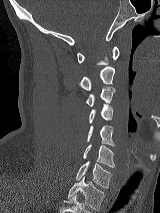
CT — sagittal view. Boxes are (x1, y1, x2, y2) in pixels.
Vertebra bounding boxes:
- C1: (77, 46, 119, 65)
- C2: (80, 66, 114, 90)
- C3: (86, 87, 115, 106)
- C4: (88, 104, 113, 123)
- C5: (87, 125, 114, 146)
- C6: (83, 144, 114, 167)
- C7: (76, 161, 111, 188)
- T1: (68, 176, 105, 210)